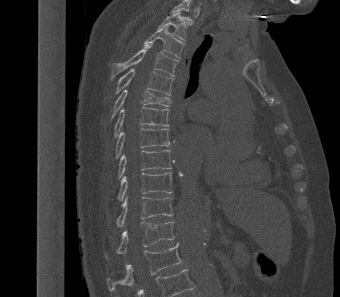

CT — sagittal reformat — Bone window (WL 400, WW 1800) — 340 mm wide — 340x297 px
Labels in this scan begin with T2 at the top and end with L1 at the bottom.
<vertebrae><v name="T2" x1="158" y1="12" x2="187" y2="40"/><v name="T3" x1="143" y1="26" x2="183" y2="58"/><v name="T4" x1="111" y1="45" x2="178" y2="77"/><v name="T5" x1="114" y1="68" x2="173" y2="95"/><v name="T6" x1="111" y1="89" x2="171" y2="119"/><v name="T7" x1="114" y1="107" x2="169" y2="137"/><v name="T8" x1="115" y1="128" x2="170" y2="158"/><v name="T9" x1="117" y1="150" x2="173" y2="178"/><v name="T10" x1="117" y1="172" x2="172" y2="200"/><v name="T11" x1="116" y1="197" x2="173" y2="226"/><v name="T12" x1="105" y1="221" x2="174" y2="258"/><v name="L1" x1="107" y1="242" x2="181" y2="290"/></vertebrae>